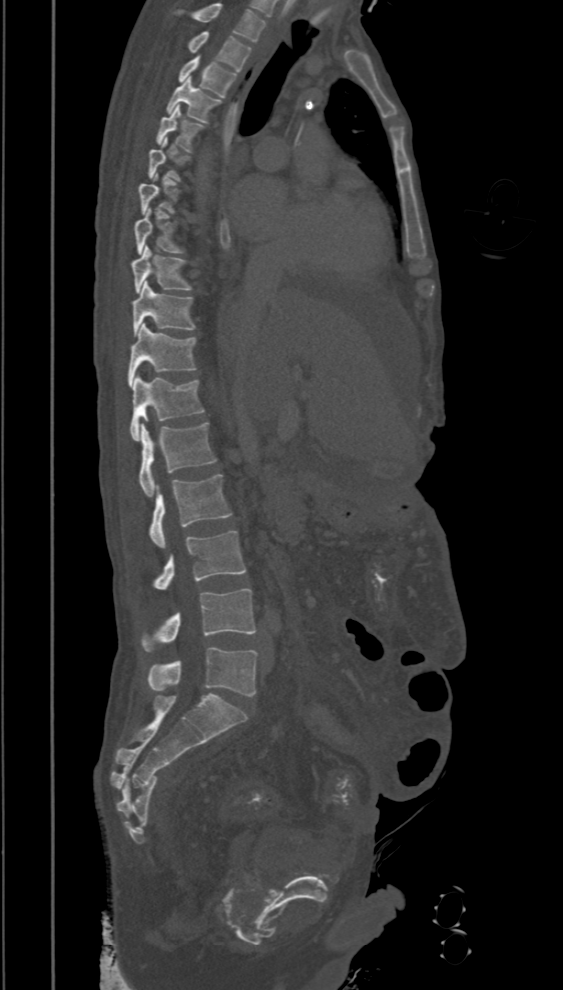
Computed tomography of the spine · sagittal reformat
Box values are [left, top, right, bottom] in pixels.
Not every vertebra on this slice has a box: a vertebra is boxed only from the first to the last slice where its cross-section is at least a third of its largest, and this slice is outside that range for at least one of them.
This scan's labels start at T2 at the top and end at L5 at the bottom.
{"vertebrae":{"T2":[187,31,252,71],"T3":[178,56,236,98],"T4":[166,77,220,122],"T5":[155,105,203,152],"T8":[134,209,185,255],"T9":[131,246,191,294],"T10":[131,282,195,336],"T11":[128,323,197,386],"T12":[130,374,205,441],"L1":[139,422,216,496],"L2":[148,475,232,548],"L3":[153,530,246,589],"L4":[141,589,256,652],"L5":[147,647,257,696]}}